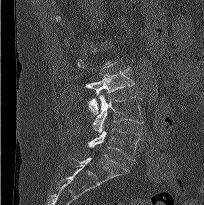 Spine CT. sagittal reformat. Boxes are given in columns x1, y1, x2, y2, the pixel coordinates of their top-left and bottom-right corners.
Not every vertebra on this slice has a box: a vertebra is boxed only from the first to the last slice where its cross-section is at least a third of its largest, and this slice is outside that range for at least one of them.
| vertebra | x1 | y1 | x2 | y2 |
|---|---|---|---|---|
| L3 | 85 | 68 | 134 | 114 |
| L4 | 92 | 95 | 143 | 132 |
| L5 | 88 | 128 | 140 | 161 |